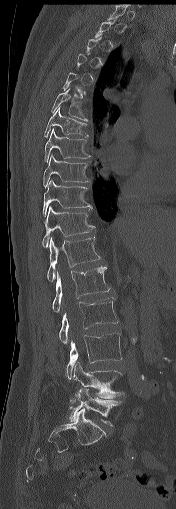
CT, spine — sagittal view — 176x509 px
Boxes: x1:y1:x2:y2 in pixels.
Each vertebra is boxed only on the slices from the first to the last where its cross-section reaches a third of its largest, so a slice outside that range leaves it unboxed.
Vertebra bounding boxes:
- L5: 69:389:122:426
- L4: 68:362:124:409
- L3: 65:332:121:379
- L2: 59:297:117:344
- L1: 52:266:110:312
- T12: 47:236:100:281
- T11: 42:206:94:247
- T10: 43:180:92:216
- T9: 43:153:89:188
- T8: 45:128:90:162
- T7: 43:107:88:137
- T6: 51:89:88:121